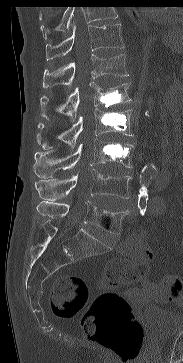 CT, spine · sagittal view. Boxes: x1 y1 x2 y2 (pixel coords, space-separated). A vertebra cut off by the top edge of the scan is not labeled and has no box. Vertebrae labeled: T11 at 46 24 124 60, T12 at 42 53 128 87, L1 at 40 82 131 120, L2 at 36 108 133 148, L3 at 33 139 133 178, L4 at 35 169 131 200, L5 at 36 201 129 234.